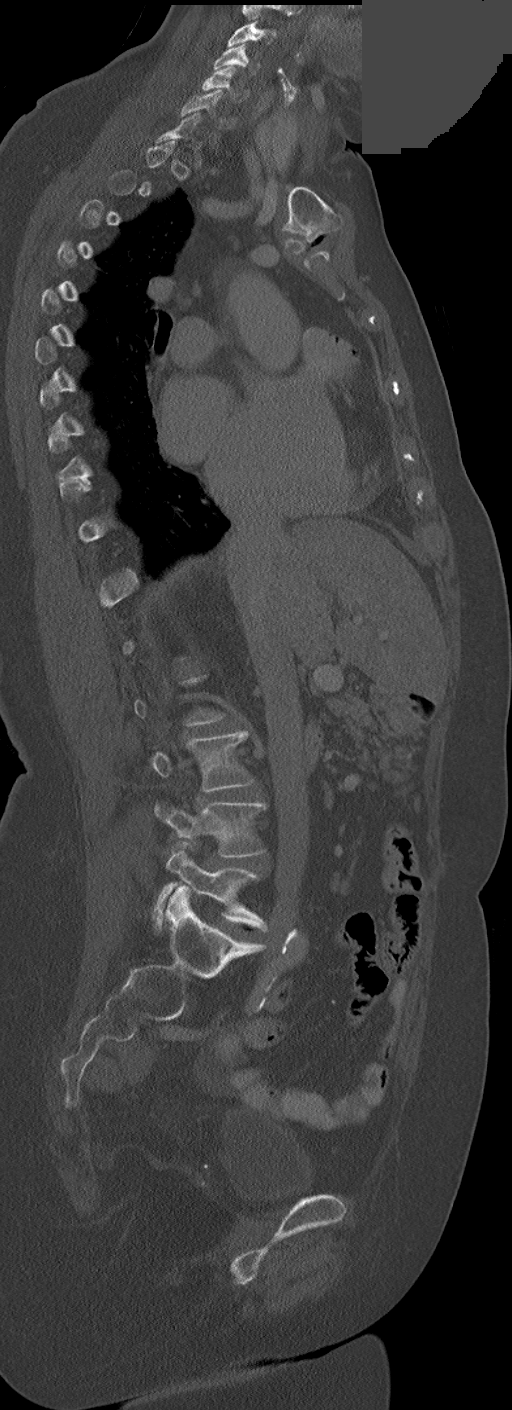

CT spine; sagittal view; 512x1410 px; part of the image has been replaced by a constant value

Coordinates as <box>x1,y1,x2,y2</box>.
Each vertebra is boxed only on the slices from the first to the last where its cross-section reaches a third of its largest, so a slice outside that range leaves it unboxed.
Labels in this scan begin with C3 at the top and end with L5 at the bottom.
Vertebra bounding boxes:
- C3: <box>227,21,276,47</box>
- C4: <box>214,44,258,75</box>
- C5: <box>202,67,245,101</box>
- C6: <box>181,89,227,128</box>
- L3: <box>151,730,253,792</box>
- L4: <box>155,803,266,857</box>
- L5: <box>153,842,266,930</box>